Computed tomography of the spine · Sagittal slice 210/512 · 512x827 px · 10 vertebrae labeled in this scan · image 140 mm wide
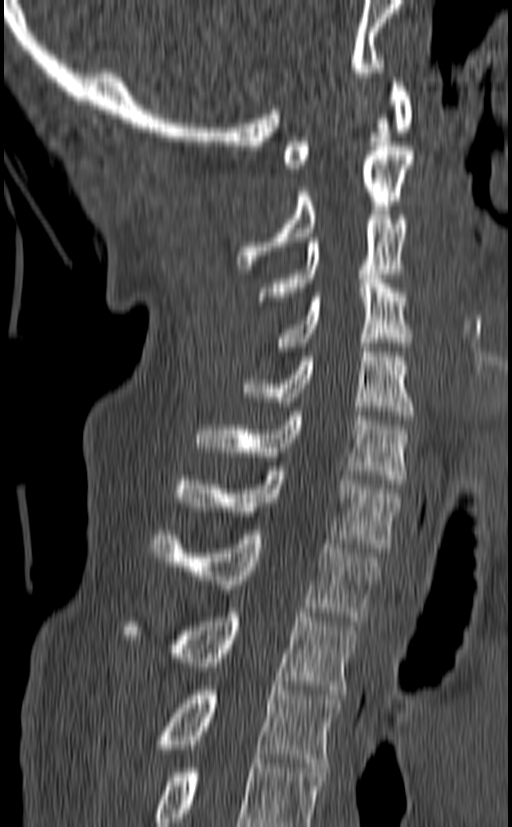

Boxes are (x1, y1, x2, y2) in pixels.
In this scan, the topmost labeled vertebra is C1 and the lowest is T3.
Vertebra bounding boxes:
- C1: (283, 78, 413, 168)
- C2: (236, 146, 414, 269)
- C3: (257, 215, 406, 305)
- C4: (276, 274, 412, 351)
- C5: (242, 343, 414, 420)
- C6: (195, 411, 407, 484)
- C7: (177, 466, 399, 552)
- T1: (151, 530, 381, 621)
- T2: (122, 608, 359, 694)
- T3: (162, 686, 340, 767)